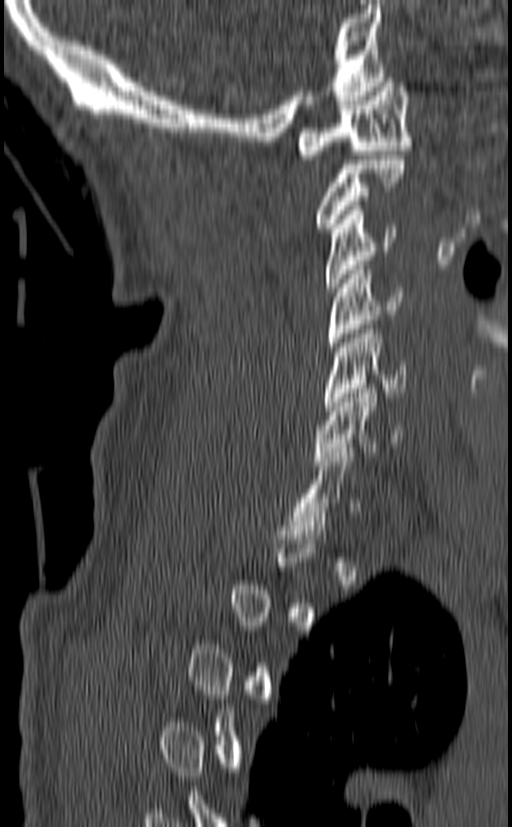

CT, spine. sagittal view. 512x827 px
Each row gives a vertebra's box as x1, y1, x2, y2 in pixels: top-left corner, then bottom-right corner.
Each vertebra is boxed only on the slices from the first to the last where its cross-section reaches a third of its largest, so a slice outside that range leaves it unboxed.
| vertebra | x1 | y1 | x2 | y2 |
|---|---|---|---|---|
| C7 | 289 | 448 | 360 | 534 |
| C6 | 313 | 384 | 401 | 465 |
| C5 | 322 | 325 | 406 | 410 |
| C4 | 327 | 265 | 403 | 351 |
| C3 | 325 | 206 | 397 | 292 |
| C2 | 316 | 155 | 403 | 232 |
| C1 | 297 | 78 | 411 | 159 |